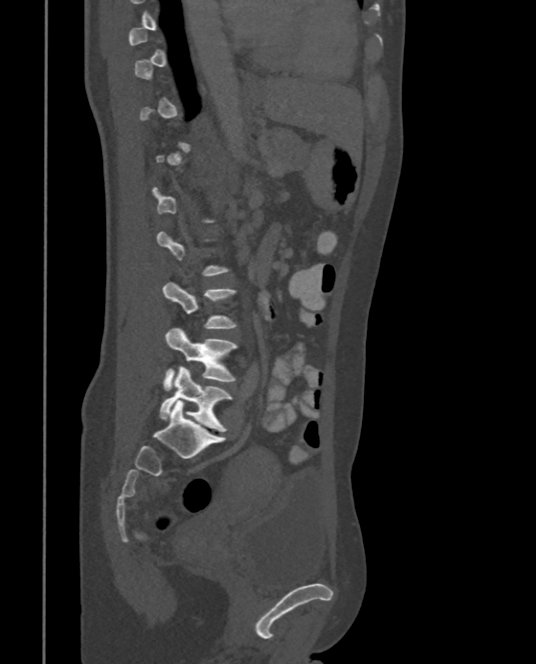
CT — sagittal view — W/L 1800/400 HU — 536x664 px

Box edges are left/top/right/bottom in pixels.
A vertebra gets a box only on the slices from the first to the last where its cross-section is at least a third of its largest; on a slice outside that range it gets none.
Vertebra bounding boxes:
- L5: left=160, top=367, right=231, bottom=432
- L4: left=163, top=327, right=239, bottom=390
- L3: left=162, top=281, right=238, bottom=329